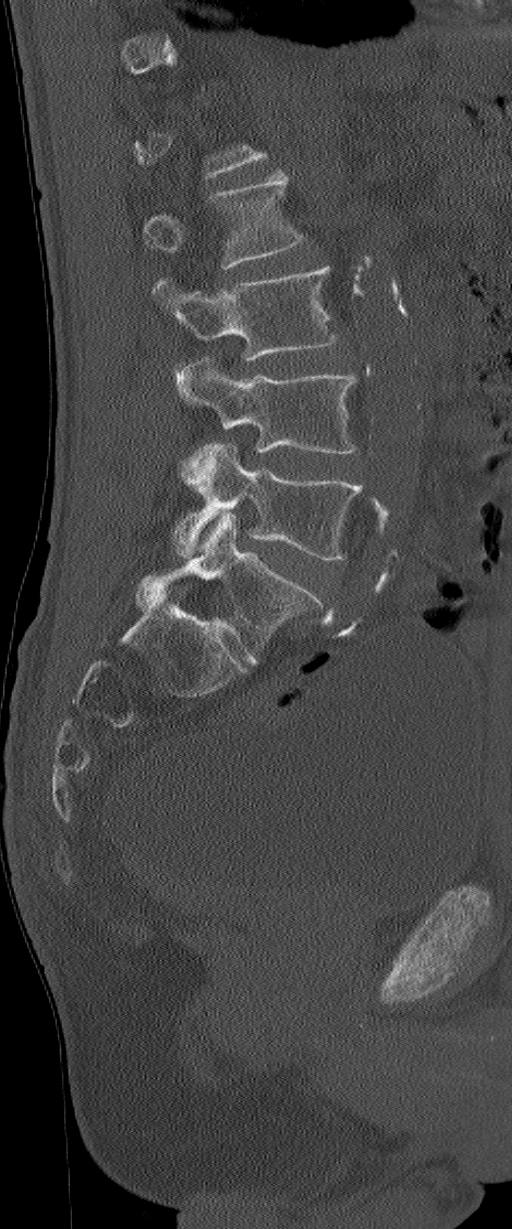
CT spine — sagittal reformat — Bone window (WL 400, WW 1800). Coordinates as <box>x1,y1,x2,y2</box>. A vertebra gets a box only on the slices from the first to the last where its cross-section is at least a third of its largest; on a slice outside that range it gets none. The labels name a sixth lumbar vertebra for this spine: L6, after L5. The labeled vertebrae in this slice are: L2 at <box>143,172,304,268</box>, L3 at <box>153,266,339,360</box>, L4 at <box>174,358,357,483</box>, L5 at <box>171,442,362,559</box>, L6 at <box>137,513,333,662</box>.